CT spine; sagittal plane, index 237; W/L 1800/400 HU
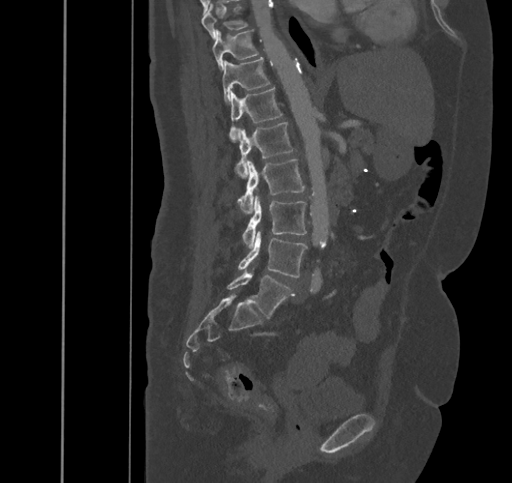

Each box given as x1,y1,x2,y2.
Vertebra bounding boxes:
- T9: x1=201, y1=5, x2=247, y2=38
- T10: x1=213, y1=30, x2=258, y2=70
- T11: x1=222, y1=57, x2=270, y2=102
- T12: x1=229, y1=87, x2=282, y2=142
- L1: x1=236, y1=122, x2=295, y2=177
- L2: x1=238, y1=159, x2=305, y2=213
- L3: x1=242, y1=195, x2=306, y2=248
- L4: x1=238, y1=231, x2=307, y2=277
- L5: x1=227, y1=272, x2=293, y2=318